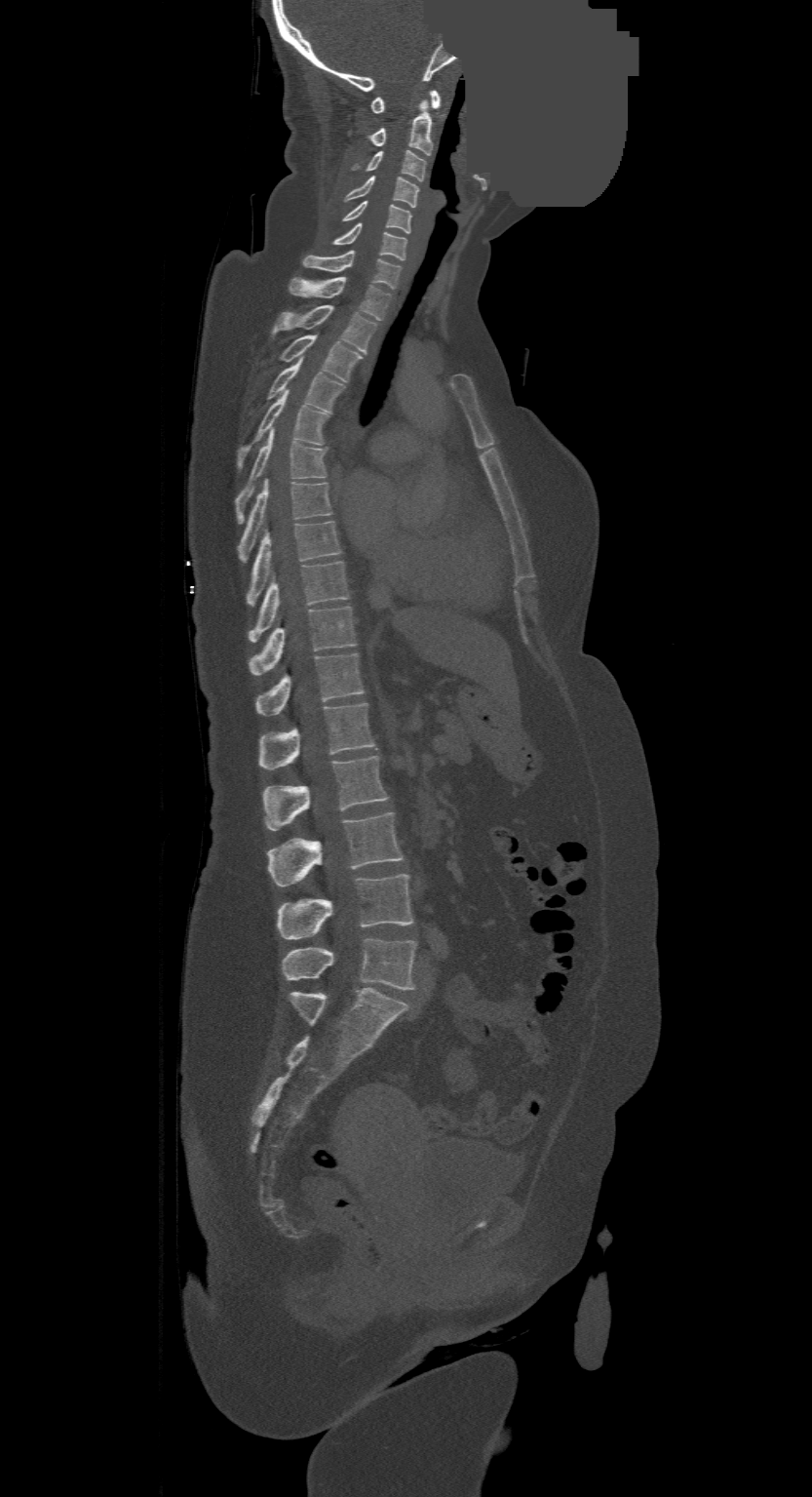 Computed tomography of the spine · sagittal view · part of the image has been replaced by a constant value
Boxes: x1:y1:x2:y2 in pixels.
This scan's labels start at C1 at the top and end at L4 at the bottom.
Vertebra bounding boxes:
- C1: 369:90:439:113
- C2: 369:101:432:155
- C3: 354:150:424:181
- C4: 344:176:418:208
- C5: 343:200:411:233
- C6: 331:223:406:259
- C7: 301:251:401:289
- T1: 289:277:391:320
- T2: 271:304:376:354
- T3: 279:335:361:381
- T4: 266:358:345:413
- T5: 237:390:329:472
- T6: 235:428:328:523
- T7: 240:480:332:560
- T8: 248:521:340:604
- T9: 250:561:348:642
- T10: 250:607:356:674
- T11: 257:653:364:715
- T12: 258:702:375:768
- L1: 263:756:388:830
- L2: 268:813:404:886
- L3: 278:873:413:939
- L4: 283:938:416:989